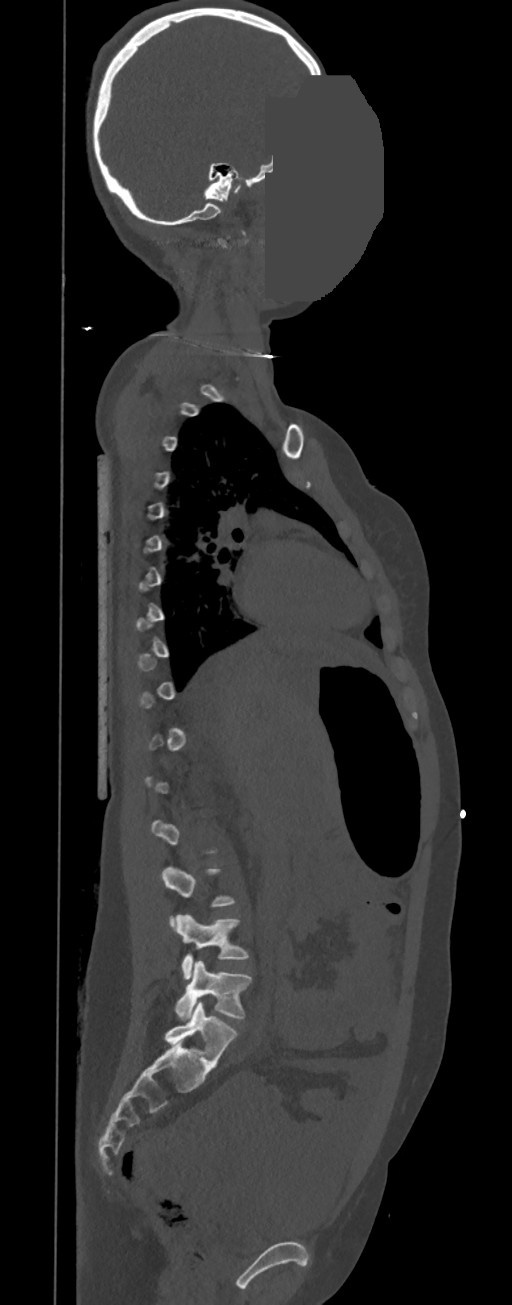
Computed tomography of the spine; the image spans 350 mm across; sagittal reformat; bone-window reconstruction; an area of the scan was removed and filled with constant pixels. Each box given as x1,y1,x2,y2.
A vertebra gets a box only on the slices from the first to the last where its cross-section is at least a third of its largest; on a slice outside that range it gets none.
| vertebra | x1 | y1 | x2 | y2 |
|---|---|---|---|---|
| L4 | 175 | 914 | 249 | 979 |
| L5 | 175 | 961 | 252 | 1019 |